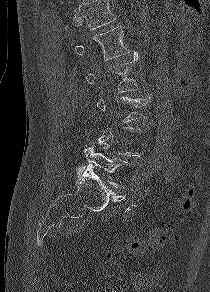 CT spine · sagittal reformat · bone-window reconstruction · 210x292 px

Bounding boxes as [x1, y1, x2, y2] in pixel coordinates.
A vertebra is boxed only from the first to the last slice where its cross-section is at least a third of its largest; slices outside that range leave it without a box.
No box is given to a vertebra that the top edge of the scan cuts off.
L1: [74, 25, 129, 60]
L2: [85, 52, 138, 92]
L5: [75, 146, 128, 187]